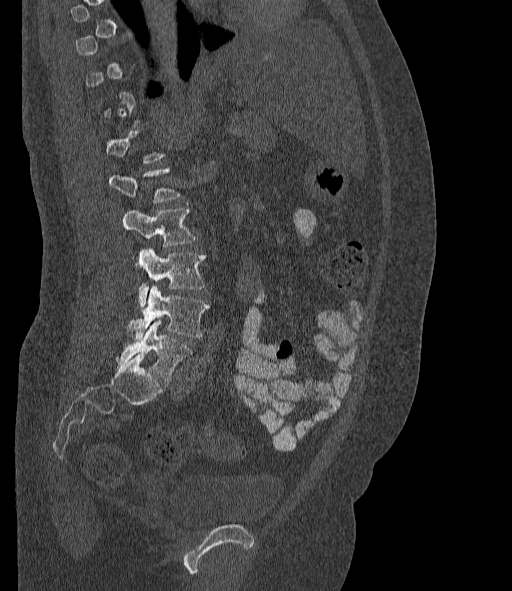

CT · sagittal view

Boxes are given in columns x1, y1, x2, y2, the pixel coordinates of their top-left and bottom-right corners.
Each vertebra is boxed only on the slices from the first to the last where its cross-section reaches a third of its largest, so a slice outside that range leaves it unboxed.
In these labels the spine has an L6, a sixth lumbar vertebra below L5.
| vertebra | x1 | y1 | x2 | y2 |
|---|---|---|---|---|
| L2 | 110 | 167 | 179 | 203 |
| L3 | 122 | 208 | 194 | 246 |
| L4 | 137 | 247 | 205 | 307 |
| L5 | 127 | 287 | 209 | 340 |
| L6 | 117 | 321 | 192 | 381 |